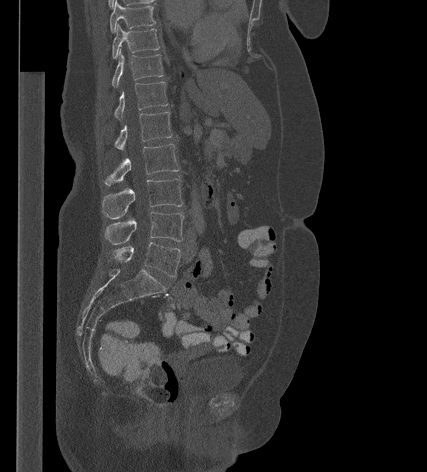 Computed tomography of the spine. sagittal view. image width 427 mm. 427x472 px
Each box is [x1, y1, x2, y2] in pixels: top-left corner, then bottom-right corner.
{"vertebrae":{"T9":[110,1,155,32],"T10":[112,25,159,58],"T11":[112,50,163,87],"T12":[114,81,168,119],"L1":[114,112,171,149],"L2":[104,144,179,185],"L3":[102,178,183,219],"L4":[104,212,183,244],"L5":[112,242,180,277]}}